Spine computed tomography. image 165 mm wide. sagittal view. bone window
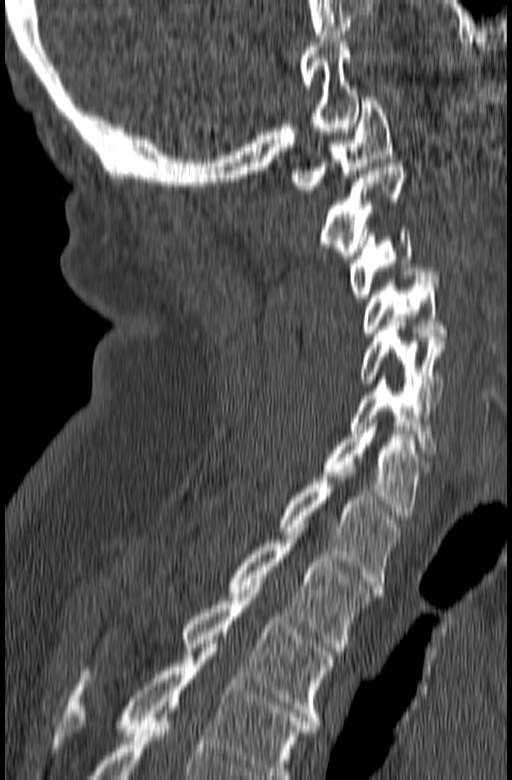
Boxes below are [x1, y1, x2, y2] in pixels.
In this scan, the topmost labeled vertebra is C1 and the lowest is T3.
{"vertebrae":{"T3":[82,586,334,724],"T2":[226,528,380,651],"T1":[279,473,402,585],"C7":[314,427,428,519],"C6":[349,376,436,453],"C5":[358,318,444,399],"C4":[361,272,447,336],"C3":[349,229,422,298],"C2":[321,163,407,259],"C1":[291,97,391,193]}}